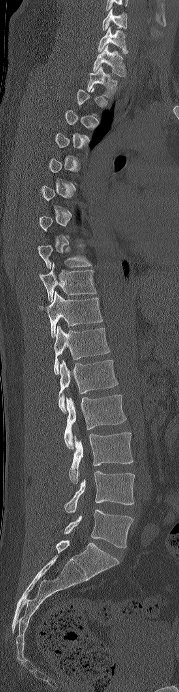 Spine computed tomography · sagittal view · 179 mm across the image

Boxes: x1:y1:x2:y2 in pixels.
A vertebra gets a box only on the slices from the first to the last where its cross-section is at least a third of its largest; on a slice outside that range it gets none.
Vertebra bounding boxes:
- L5: 64:509:133:548
- L4: 64:471:134:512
- L3: 69:432:133:483
- L2: 64:395:126:449
- L1: 58:360:118:412
- T12: 54:325:109:374
- T11: 41:291:102:337
- T10: 39:262:96:301
- T9: 38:244:91:268
- T2: 87:67:117:98
- T1: 93:45:125:76
- C7: 98:27:128:53
- C6: 102:8:127:30